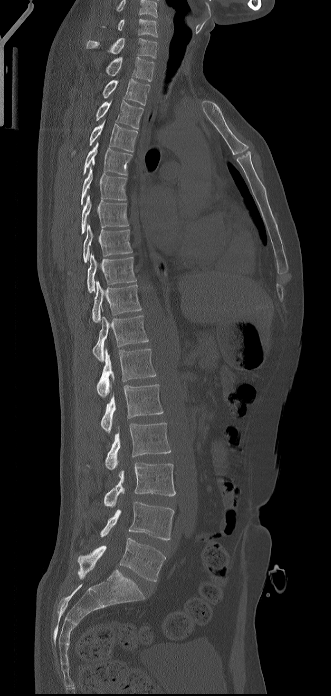

Spine computed tomography — image width 331 mm — sagittal reformat

In this scan, the topmost labeled vertebra is C6 and the lowest is L5.
<vertebrae><v name="C6" x1="100" y1="19" x2="157" y2="37"/><v name="C7" x1="86" y1="38" x2="157" y2="58"/><v name="T1" x1="105" y1="57" x2="154" y2="81"/><v name="T2" x1="102" y1="78" x2="150" y2="105"/><v name="T3" x1="96" y1="100" x2="143" y2="129"/><v name="T4" x1="90" y1="121" x2="137" y2="151"/><v name="T5" x1="83" y1="142" x2="132" y2="174"/><v name="T6" x1="81" y1="161" x2="127" y2="204"/><v name="T7" x1="81" y1="195" x2="128" y2="233"/><v name="T8" x1="83" y1="224" x2="132" y2="262"/><v name="T9" x1="87" y1="254" x2="136" y2="292"/><v name="T10" x1="92" y1="281" x2="141" y2="322"/><v name="T11" x1="92" y1="315" x2="148" y2="361"/><v name="T12" x1="96" y1="348" x2="155" y2="397"/><v name="L1" x1="100" y1="384" x2="163" y2="433"/><v name="L2" x1="105" y1="423" x2="170" y2="469"/><v name="L3" x1="103" y1="462" x2="175" y2="507"/><v name="L4" x1="100" y1="501" x2="174" y2="540"/><v name="L5" x1="78" y1="538" x2="165" y2="581"/></vertebrae>